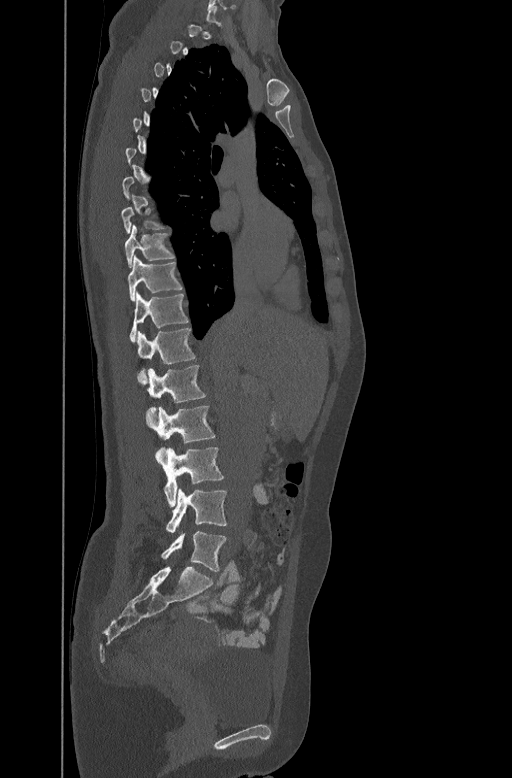

CT; sagittal view; 447 mm image width
Boxes: x1:y1:x2:y2 in pixels.
Not every vertebra on this slice has a box: a vertebra is boxed only from the first to the last slice where its cross-section is at least a third of its largest, and this slice is outside that range for at least one of them.
Vertebra bounding boxes:
- L5: 161:531:226:571
- L4: 166:488:227:533
- L3: 158:447:223:506
- L2: 145:406:214:459
- L1: 147:364:205:418
- T12: 136:327:195:376
- T11: 129:291:188:340
- T10: 127:255:182:300
- T9: 125:224:173:266